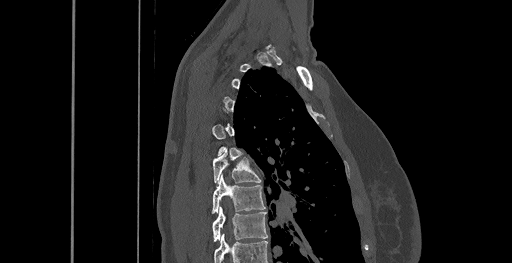

Spine CT · sagittal reformat · Bone window (WL 400, WW 1800). Coordinates as <box>x1,y1,x2,y2</box>.
A vertebra gets a box only on the slices from the first to the last where its cross-section is at least a third of its largest; on a slice outside that range it gets none.
In this scan, the topmost labeled vertebra is C6 and the lowest is T8.
Vertebra bounding boxes:
- T6: <box>213,150,261,183</box>
- T7: <box>212,175,265,213</box>
- T8: <box>212,206,268,241</box>